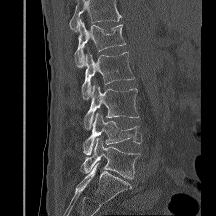
CT; sagittal view; bone window; image 216 mm wide
Where the top of the scan cuts through a vertebra, that vertebra gets no label or box.
<vertebrae><v name="L5" x1="80" y1="138" x2="140" y2="179"/><v name="L4" x1="83" y1="112" x2="142" y2="154"/><v name="L3" x1="84" y1="85" x2="138" y2="129"/><v name="L2" x1="81" y1="52" x2="134" y2="99"/><v name="L1" x1="75" y1="20" x2="126" y2="67"/></vertebrae>